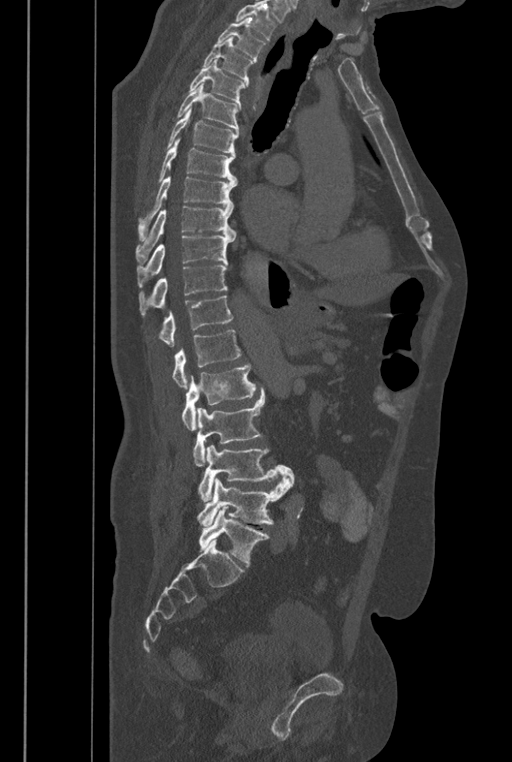 CT — sagittal view — 512x762 px
Boxes: x1:y1:x2:y2 in pixels.
A vertebra cut off by the top edge of the scan is not labeled and has no box.
The labels name a sixth lumbar vertebra for this spine: L6, after L5.
T2: 216:17:265:62
T3: 203:37:254:86
T4: 189:59:245:109
T5: 177:82:239:134
T6: 165:107:238:153
T7: 150:138:237:194
T8: 138:176:237:241
T9: 135:206:236:263
T10: 137:236:234:287
T11: 139:266:227:317
T12: 158:295:233:346
L1: 172:330:241:389
L2: 181:363:255:430
L3: 193:388:265:466
L4: 197:444:294:501
L5: 196:476:292:526
L6: 199:506:269:565